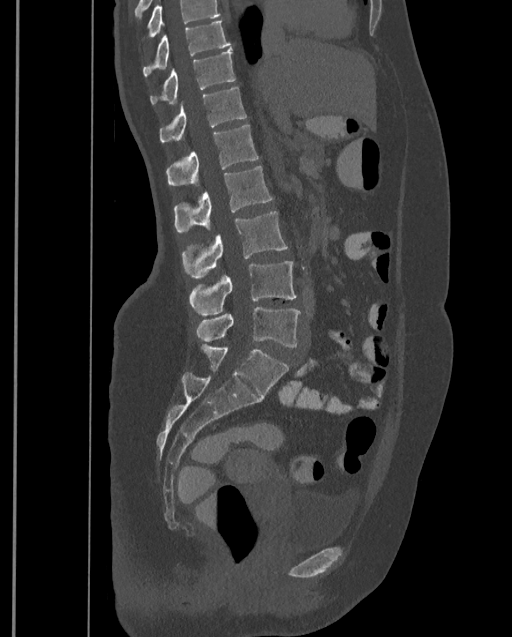

Spine CT · sagittal view · 512x637 px
Each row gives a vertebra's box as x1, y1, x2, y2 in pixels: top-left corner, then bottom-right corner.
A vertebra cut off by the top edge of the scan is not labeled and has no box.
The highest labeled vertebra in this scan is T9; the lowest is L4.
| vertebra | x1 | y1 | x2 | y2 |
|---|---|---|---|---|
| T9 | 142 | 20 | 230 | 76 |
| T10 | 150 | 49 | 235 | 104 |
| T11 | 159 | 87 | 247 | 142 |
| T12 | 165 | 125 | 258 | 185 |
| L1 | 173 | 165 | 272 | 232 |
| L2 | 182 | 211 | 288 | 277 |
| L3 | 188 | 262 | 297 | 315 |
| L4 | 196 | 306 | 300 | 347 |